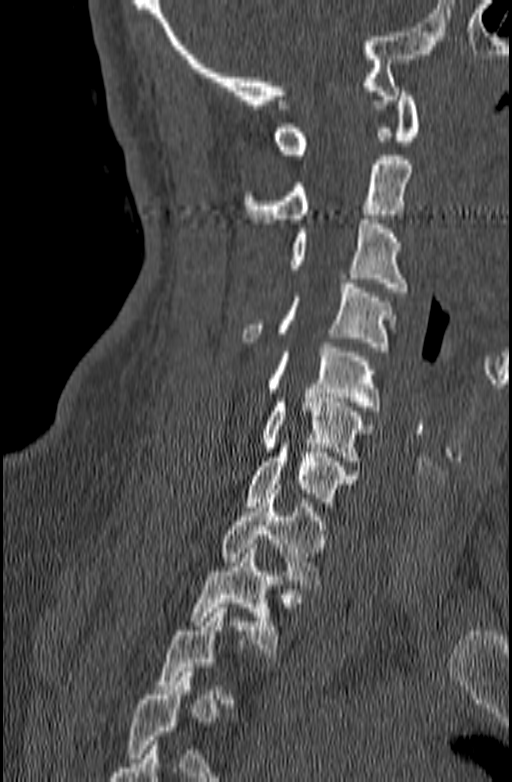
Computed tomography of the spine · sagittal view · bone-window reconstruction
Not every vertebra on this slice has a box: a vertebra is boxed only from the first to the last slice where its cross-section is at least a third of its largest, and this slice is outside that range for at least one of them.
<vertebrae><v name="C1" x1="273" y1="87" x2="420" y2="154"/><v name="C2" x1="244" y1="155" x2="412" y2="223"/><v name="C3" x1="290" y1="219" x2="407" y2="292"/><v name="C4" x1="242" y1="283" x2="397" y2="351"/><v name="C5" x1="268" y1="343" x2="381" y2="410"/><v name="C6" x1="262" y1="393" x2="373" y2="465"/><v name="C7" x1="246" y1="439" x2="358" y2="506"/><v name="T1" x1="221" y1="489" x2="328" y2="589"/><v name="T2" x1="190" y1="544" x2="280" y2="657"/></vertebrae>